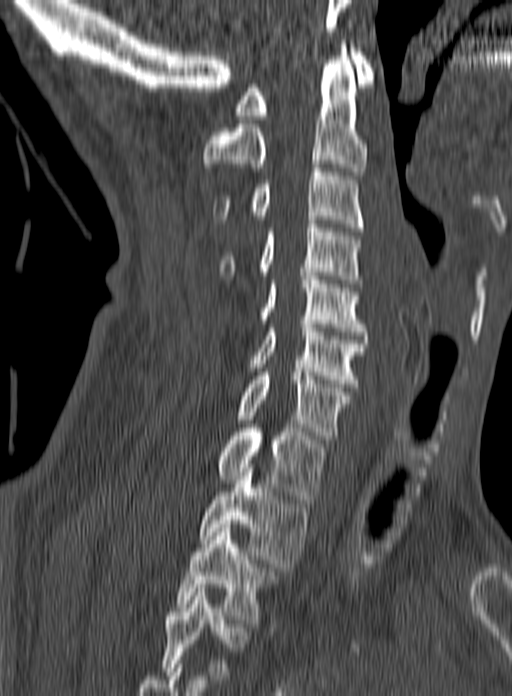 Spine CT — sagittal view — W/L 1800/400 HU. Bounding boxes as [x1, y1, x2, y2] in pixel coordinates.
Labels in this scan begin with C1 at the top and end with T3 at the bottom.
C1: [234, 48, 375, 119]
C2: [202, 44, 368, 175]
C3: [213, 164, 363, 231]
C4: [218, 220, 363, 287]
C5: [260, 272, 366, 335]
C6: [249, 320, 368, 387]
C7: [237, 368, 351, 439]
T1: [216, 424, 327, 503]
T2: [200, 464, 307, 567]
T3: [175, 524, 274, 623]